CT spine; sagittal reformat; Bone window (WL 400, WW 1800); a portion of the image is blanked out (constant pixel value)
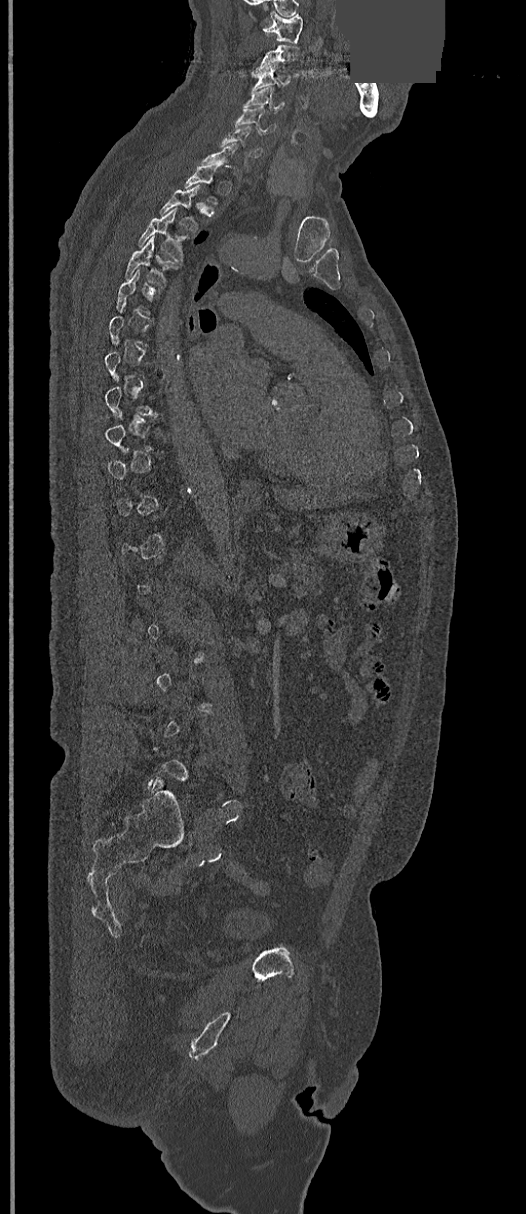 Box edges are left/top/right/bottom in pixels. A vertebra gets a box only on the slices from the first to the last where its cross-section is at least a third of its largest; on a slice outside that range it gets none. 10 vertebrae labeled — T4 at left=124, top=237, right=176, bottom=285; T3 at left=139, top=208, right=192, bottom=262; T2 at left=159, top=184, right=199, bottom=233; T1 at left=184, top=164, right=223, bottom=208; C6 at left=220, top=126, right=263, bottom=157; C5 at left=235, top=106, right=276, bottom=133; C4 at left=244, top=87, right=283, bottom=110; C3 at left=252, top=63, right=291, bottom=88; C2 at left=252, top=44, right=299, bottom=76; C1 at left=263, top=11, right=303, bottom=44.